Spine CT. sagittal plane, index 279. W/L 1800/400 HU. 607x607 px
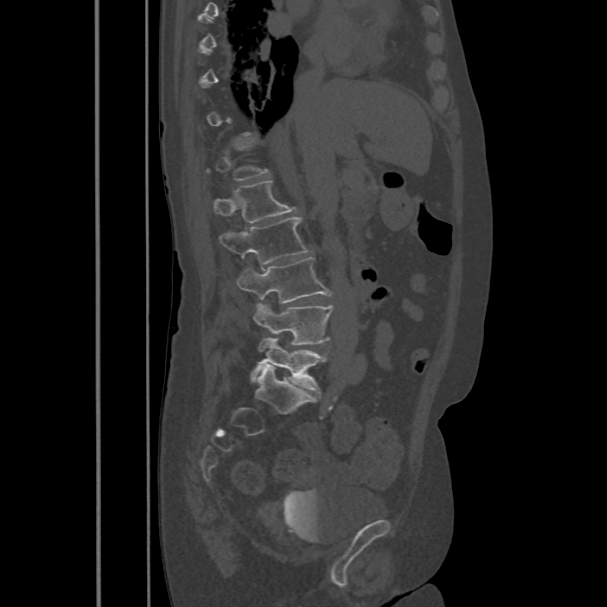 Boxes: x1:y1:x2:y2 in pixels.
A vertebra gets a box only on the slices from the first to the last where its cross-section is at least a third of its largest; on a slice outside that range it gets none.
Vertebra bounding boxes:
- L5: 251:337:326:392
- L4: 253:305:332:345
- L3: 236:257:332:302
- L2: 218:217:309:264
- L1: 214:181:297:222